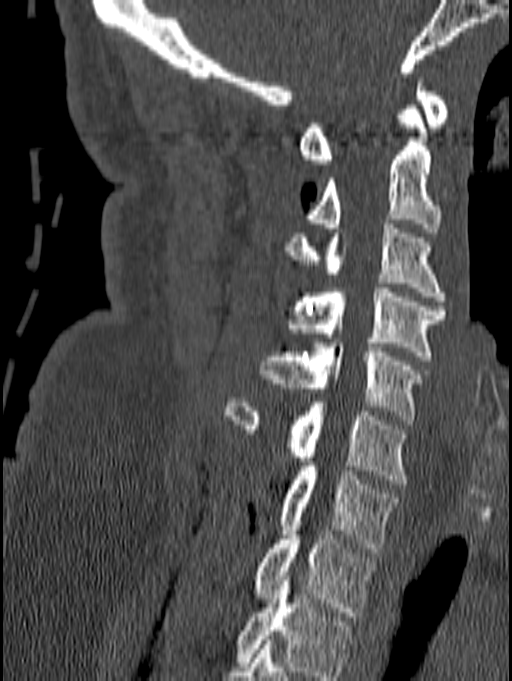

CT; sagittal view
Each box is [x1, y1, x2, y2] in pixels: top-left corner, then bottom-right corner.
This scan's labels start at C1 at the top and end at T1 at the bottom.
{"vertebrae":{"C1":[298,78,449,164],"C2":[307,105,441,232],"C3":[283,219,447,301],"C4":[287,288,447,360],"C5":[261,343,421,424],"C6":[225,398,407,484],"C7":[279,462,399,552],"T1":[254,521,376,616]}}